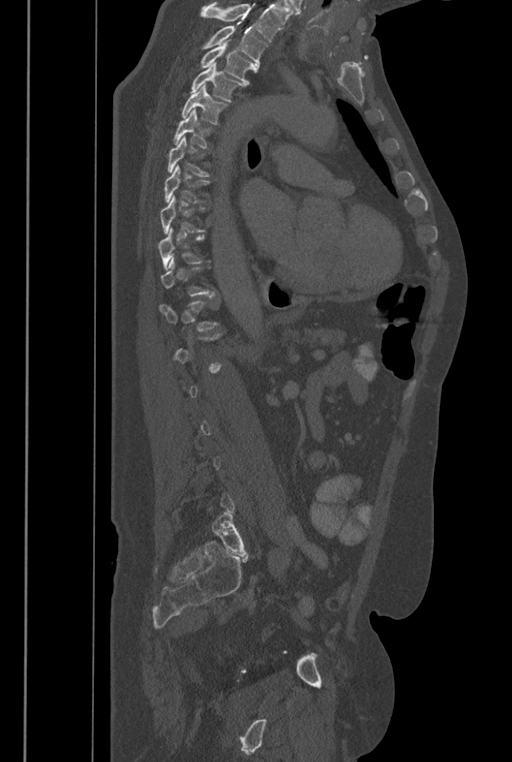 Spine CT · sagittal reformat · bone-window reconstruction
Boxes are given in columns x1, y1, x2, y2, the pixel coordinates of their top-left and bottom-right corners.
A vertebra gets a box only on the slices from the first to the last where its cross-section is at least a third of its largest; on a slice outside that range it gets none.
Vertebrae that run past the top of the scan are left unlabeled.
The labels name a sixth lumbar vertebra for this spine: L6, after L5.
| vertebra | x1 | y1 | x2 | y2 |
|---|---|---|---|---|
| T2 | 201 | 26 | 268 | 72 |
| T3 | 199 | 40 | 254 | 86 |
| T4 | 190 | 62 | 242 | 101 |
| T5 | 181 | 84 | 229 | 124 |
| T6 | 173 | 108 | 214 | 149 |
| T7 | 168 | 135 | 210 | 176 |
| T8 | 164 | 164 | 210 | 203 |
| T9 | 161 | 195 | 207 | 234 |
| T10 | 158 | 227 | 210 | 270 |
| L6 | 212 | 512 | 248 | 555 |